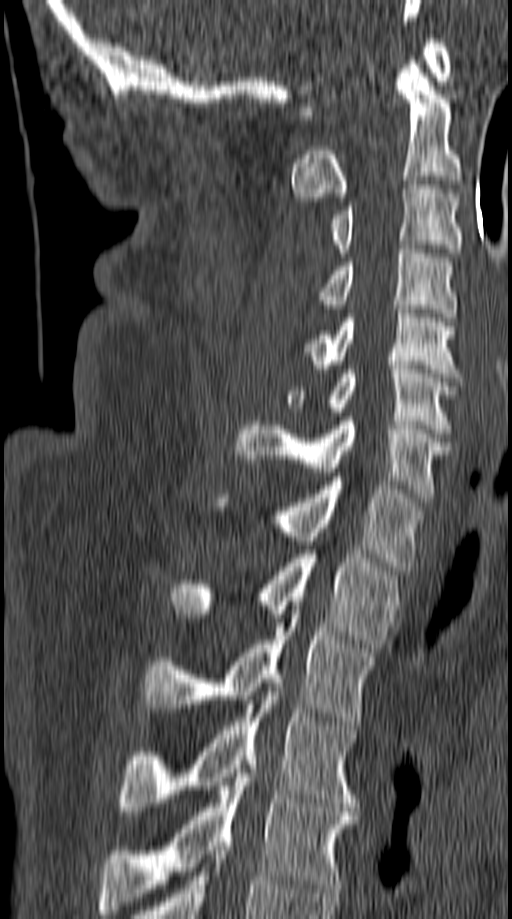
Spine computed tomography. sagittal reformat. 512x919 px

Box values are [left, top, right, bottom] in pixels.
{"vertebrae":{"T5":[100,760,358,914],"T4":[118,687,358,815],"T3":[142,610,375,725],"T2":[170,550,395,652],"T1":[218,481,423,570],"C7":[235,417,450,502],"C6":[285,365,458,437],"C5":[304,305,459,377],"C4":[317,249,454,317],"C3":[331,185,461,257],"C2":[291,64,461,201],"C1":[300,34,451,119]}}